CT spine — sagittal reformat — bone-window reconstruction — 512x591 px
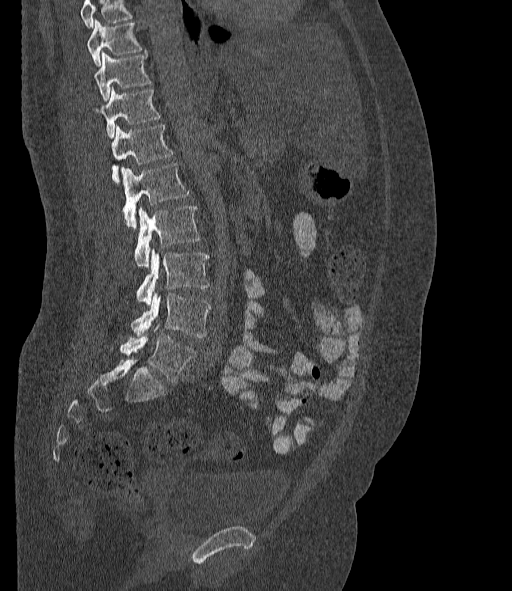 Each box given as x1,y1,x2,y2.
Where the top of the scan cuts through a vertebra, that vertebra gets no label or box.
The labels name a sixth lumbar vertebra for this spine: L6, after L5.
T10: x1=87, y1=20, x2=141, y2=66
T11: x1=94, y1=52, x2=151, y2=101
T12: x1=96, y1=88, x2=160, y2=139
L1: x1=111, y1=124, x2=173, y2=184
L2: x1=121, y1=163, x2=189, y2=229
L3: x1=134, y1=206, x2=200, y2=267
L4: x1=136, y1=249, x2=209, y2=305
L5: x1=130, y1=293, x2=211, y2=337
L6: x1=119, y1=333, x2=196, y2=383